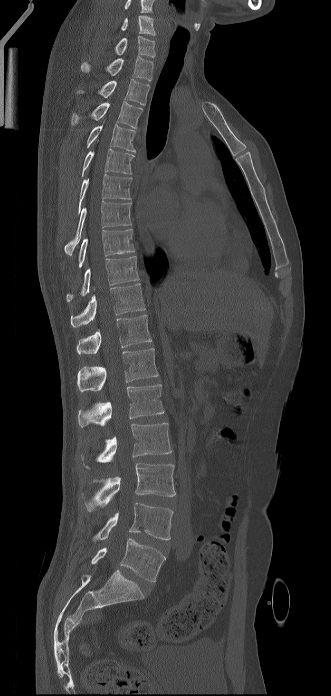
Computed tomography of the spine — image 331 mm wide — sagittal reformat — bone-window reconstruction
Columns x1, y1, x2, y2 give each box's top-left and bottom-right pixels.
The highest labeled vertebra in this scan is C6; the lowest is L5.
| vertebra | x1 | y1 | x2 | y2 |
|---|---|---|---|---|
| C6 | 121 | 15 | 155 | 35 |
| C7 | 114 | 35 | 155 | 57 |
| T1 | 81 | 56 | 153 | 80 |
| T2 | 77 | 78 | 149 | 105 |
| T3 | 71 | 100 | 142 | 128 |
| T4 | 87 | 123 | 136 | 152 |
| T5 | 82 | 148 | 134 | 177 |
| T6 | 78 | 173 | 131 | 213 |
| T7 | 64 | 201 | 131 | 255 |
| T8 | 79 | 229 | 134 | 267 |
| T9 | 66 | 256 | 139 | 302 |
| T10 | 70 | 283 | 145 | 327 |
| T11 | 76 | 315 | 151 | 354 |
| T12 | 77 | 348 | 158 | 391 |
| L1 | 78 | 384 | 164 | 427 |
| L2 | 82 | 423 | 171 | 468 |
| L3 | 85 | 463 | 175 | 511 |
| L4 | 92 | 503 | 173 | 542 |
| L5 | 91 | 538 | 165 | 582 |